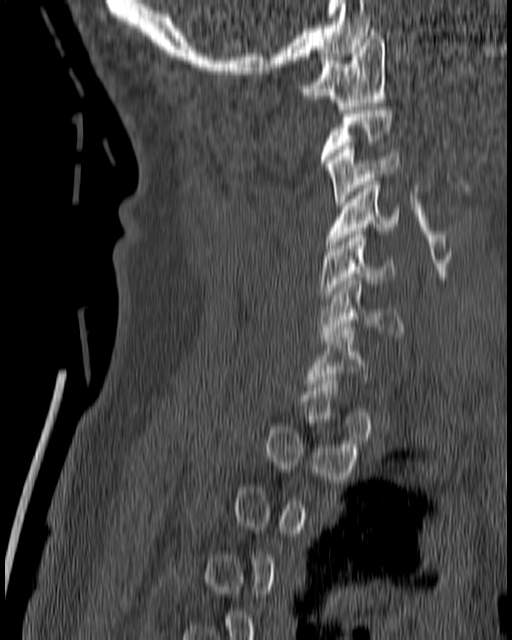

Spine computed tomography · sagittal view · the image spans 180 mm across · bone-window reconstruction

Boxes are given in columns x1, y1, x2, y2, the pixel coordinates of their top-left and bottom-right corners.
A vertebra is boxed only from the first to the last slice where its cross-section is at least a third of its largest; slices outside that range leave it without a box.
| vertebra | x1 | y1 | x2 | y2 |
|---|---|---|---|---|
| C1 | 299 | 28 | 386 | 109 |
| C3 | 325 | 146 | 399 | 205 |
| C4 | 325 | 178 | 399 | 248 |
| C5 | 319 | 235 | 393 | 301 |
| C6 | 319 | 277 | 404 | 340 |
| C7 | 305 | 324 | 367 | 390 |